Spine computed tomography. 388 mm image width. sagittal view
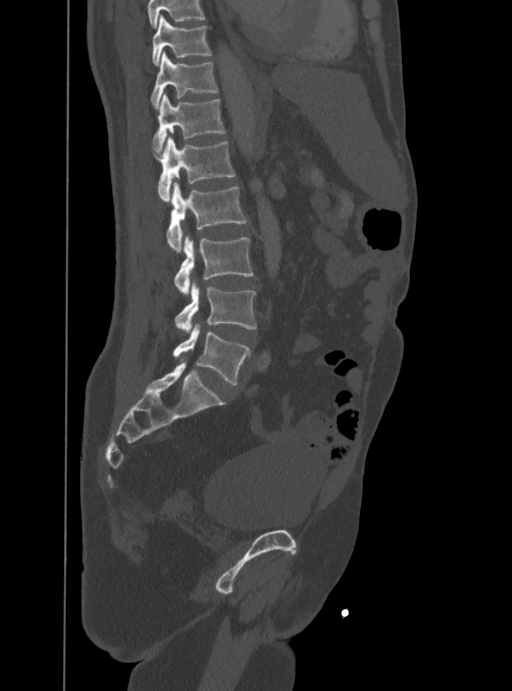
A vertebra cut off by the top edge of the scan is not labeled and has no box.
<vertebrae><v name="T10" x1="152" y1="14" x2="211" y2="64"/><v name="T11" x1="150" y1="51" x2="218" y2="107"/><v name="T12" x1="153" y1="94" x2="224" y2="153"/><v name="L1" x1="151" y1="135" x2="235" y2="201"/><v name="L2" x1="166" y1="181" x2="246" y2="252"/><v name="L3" x1="174" y1="235" x2="252" y2="295"/><v name="L4" x1="175" y1="281" x2="256" y2="332"/><v name="L5" x1="173" y1="323" x2="250" y2="384"/></vertebrae>